CT; sagittal plane, index 201; bone-window reconstruction; 444 mm across the image
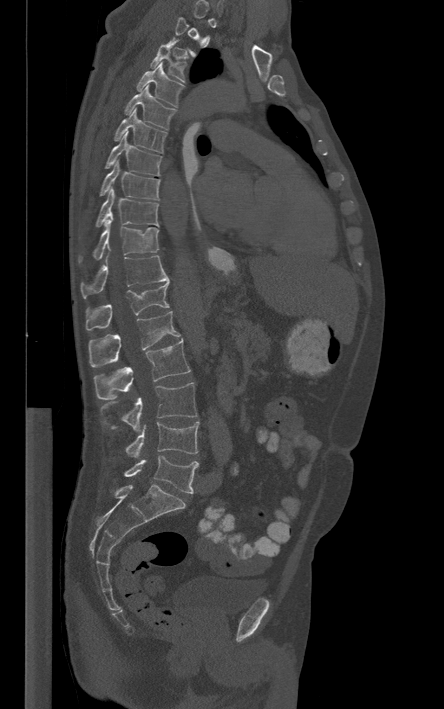

Boxes are (x1, y1, x2, y2) in pixels.
A vertebra gets a box only on the slices from the first to the last where its cross-section is at least a third of its largest; on a slice outside that range it gets none.
L5: (124, 455, 198, 493)
L4: (125, 421, 199, 457)
L3: (101, 382, 197, 431)
L2: (94, 339, 190, 399)
L1: (88, 311, 180, 366)
T12: (86, 281, 169, 330)
T11: (80, 255, 168, 297)
T10: (78, 220, 159, 263)
T9: (95, 188, 158, 227)
T8: (99, 158, 160, 200)
T7: (105, 131, 161, 175)
T6: (114, 109, 167, 152)
T5: (123, 86, 176, 129)
T4: (136, 62, 185, 107)
T3: (150, 37, 186, 82)